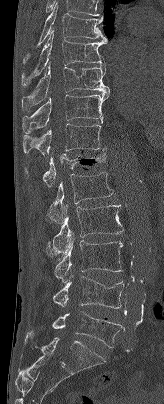 CT — sagittal reformat — 164x404 px
<vertebrae><v name="T7" x1="23" y1="1" x2="107" y2="62"/><v name="T8" x1="21" y1="30" x2="107" y2="86"/><v name="T9" x1="21" y1="62" x2="110" y2="111"/><v name="T10" x1="22" y1="93" x2="109" y2="133"/><v name="T11" x1="23" y1="123" x2="105" y2="155"/><v name="T12" x1="25" y1="148" x2="107" y2="186"/><v name="L1" x1="46" y1="172" x2="113" y2="223"/><v name="L2" x1="46" y1="204" x2="123" y2="257"/><v name="L3" x1="54" y1="233" x2="123" y2="282"/><v name="L4" x1="52" y1="276" x2="124" y2="308"/><v name="L5" x1="52" y1="311" x2="123" y2="347"/></vertebrae>